Spine CT. sagittal reformat. 512x905 px. the image is 368 mm wide. scan covers 18 annotated vertebrae
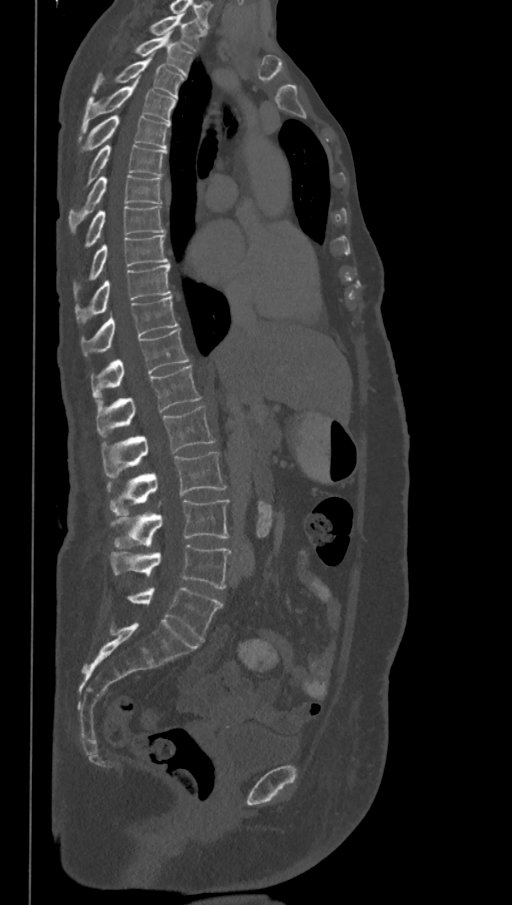

The highest labeled vertebra in this scan is T1; the lowest is L6.
The labels name a sixth lumbar vertebra for this spine: L6, after L5.
<vertebrae><v name="T1" x1="151" y1="14" x2="206" y2="50"/><v name="T2" x1="135" y1="31" x2="192" y2="74"/><v name="T3" x1="93" y1="56" x2="185" y2="98"/><v name="T4" x1="80" y1="80" x2="175" y2="130"/><v name="T5" x1="78" y1="115" x2="169" y2="152"/><v name="T6" x1="88" y1="144" x2="167" y2="186"/><v name="T7" x1="68" y1="175" x2="162" y2="232"/><v name="T8" x1="83" y1="205" x2="164" y2="248"/><v name="T9" x1="74" y1="233" x2="169" y2="300"/><v name="T10" x1="75" y1="264" x2="171" y2="326"/><v name="T11" x1="80" y1="296" x2="178" y2="356"/><v name="T12" x1="90" y1="329" x2="189" y2="401"/><v name="L1" x1="96" y1="366" x2="201" y2="437"/><v name="L2" x1="101" y1="406" x2="216" y2="477"/><v name="L3" x1="107" y1="452" x2="227" y2="515"/><v name="L4" x1="111" y1="500" x2="230" y2="549"/><v name="L5" x1="110" y1="545" x2="231" y2="589"/><v name="L6" x1="126" y1="587" x2="223" y2="640"/></vertebrae>